Spine CT · sagittal reformat · bone-window reconstruction
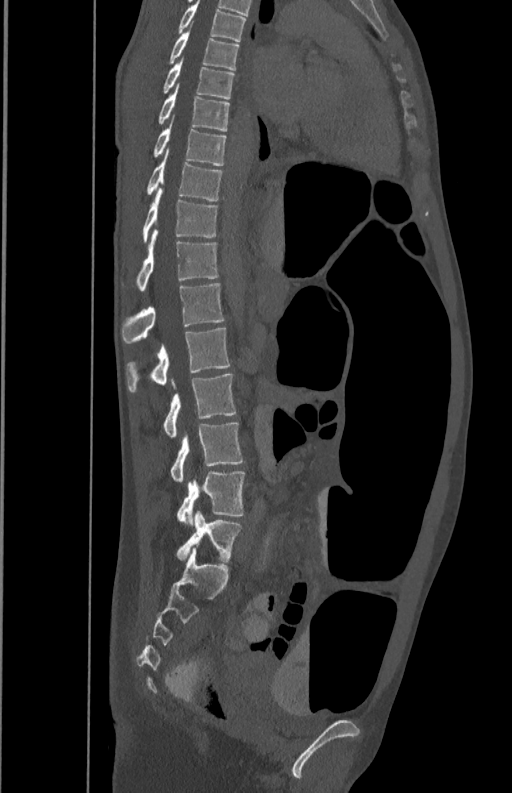 Boxes: x1:y1:x2:y2 in pixels. Vertebrae labeled: L5 at 177:471:245:524, L4 at 171:423:243:483, L3 at 164:373:236:437, L2 at 126:328:230:393, L1 at 121:283:224:343, T12 at 123:229:218:291, T11 at 142:188:218:243, T10 at 146:153:223:200, T9 at 153:122:226:165, T8 at 158:86:230:131, T7 at 164:59:234:98, T6 at 169:30:239:69, T5 at 178:1:246:41.